Spine computed tomography; sagittal view; bone-window reconstruction
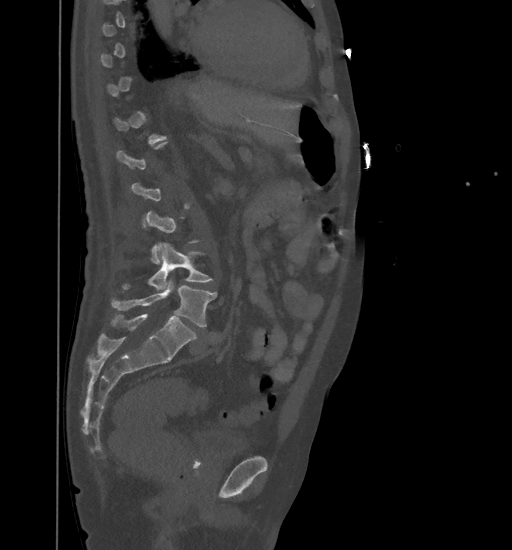

Boxes are (x1, y1, x2, y2) in pixels. Each vertebra is boxed only on the slices from the first to the last where its cross-section reaches a third of its largest, so a slice outside that range leaves it unboxed. The labeled vertebrae in this slice are: L5 at (112, 279, 216, 327), L4 at (121, 242, 213, 290).